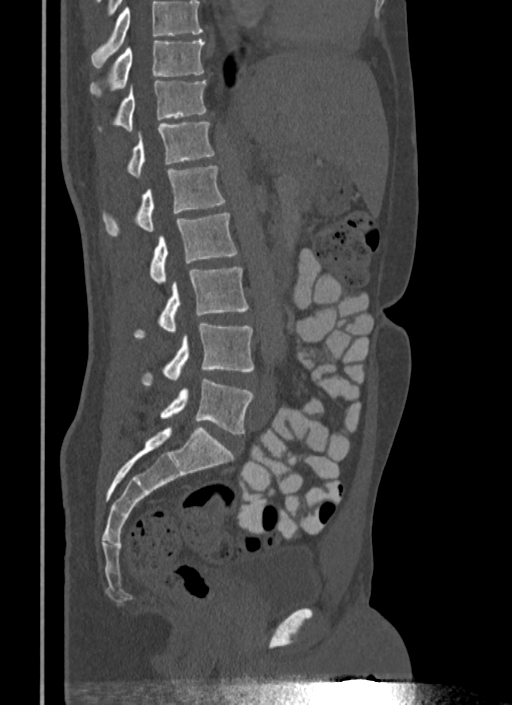
CT, spine — sagittal view — 512x705 px

Where the top of the scan cuts through a vertebra, that vertebra gets no label or box.
<vertebrae><v name="T10" x1="90" y1="38" x2="204" y2="97"/><v name="T11" x1="98" y1="80" x2="207" y2="130"/><v name="T12" x1="126" y1="122" x2="214" y2="177"/><v name="L1" x1="102" y1="166" x2="225" y2="235"/><v name="L2" x1="149" y1="212" x2="237" y2="284"/><v name="L3" x1="134" y1="267" x2="249" y2="338"/><v name="L4" x1="141" y1="322" x2="253" y2="385"/><v name="L5" x1="159" y1="379" x2="253" y2="434"/></vertebrae>